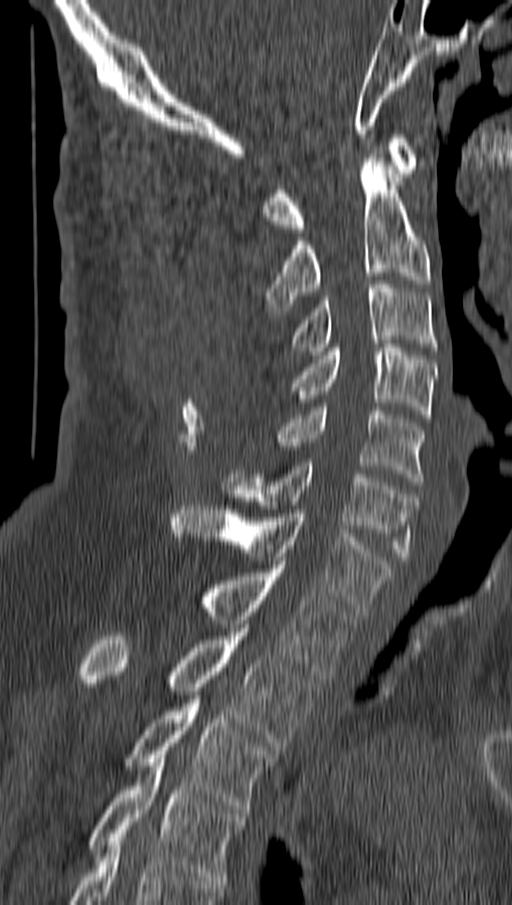
Computed tomography of the spine; sagittal reformat
Coordinates as <box>x1,y1,x2,y2</box>. The labeled vertebrae in this slice are: C1 at <box>263,134,417,232</box>, C2 at <box>263,150,430,315</box>, C3 at <box>292,280,437,355</box>, C4 at <box>292,344,436,422</box>, C5 at <box>273,407,424,485</box>, C6 at <box>222,462,417,560</box>, C7 at <box>172,506,389,615</box>, T1 at <box>203,565,354,679</box>, T2 at <box>80,628,316,750</box>, T3 at <box>124,695,275,813</box>, T4 at <box>90,759,243,884</box>.